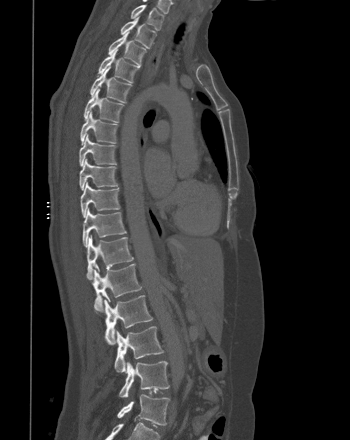
Computed tomography of the spine — sagittal reformat — 350x440 px — image 350 mm wide. Each box given as x1,y1,x2,y2.
T1: x1=131, y1=5, x2=164, y2=30
T2: x1=120, y1=16, x2=156, y2=48
T3: x1=108, y1=31, x2=146, y2=65
T4: x1=98, y1=49, x2=139, y2=82
T5: x1=90, y1=68, x2=131, y2=102
T6: x1=83, y1=88, x2=123, y2=122
T7: x1=80, y1=111, x2=117, y2=143
T8: x1=79, y1=134, x2=116, y2=166
T9: x1=79, y1=158, x2=118, y2=190
T10: x1=80, y1=182, x2=119, y2=217
T11: x1=82, y1=208, x2=126, y2=246
T12: x1=86, y1=235, x2=133, y2=279
L1: x1=91, y1=263, x2=141, y2=311
L2: x1=95, y1=295, x2=152, y2=344
L3: x1=114, y1=326, x2=163, y2=372
L4: x1=119, y1=361, x2=169, y2=397
L5: x1=117, y1=394, x2=169, y2=425